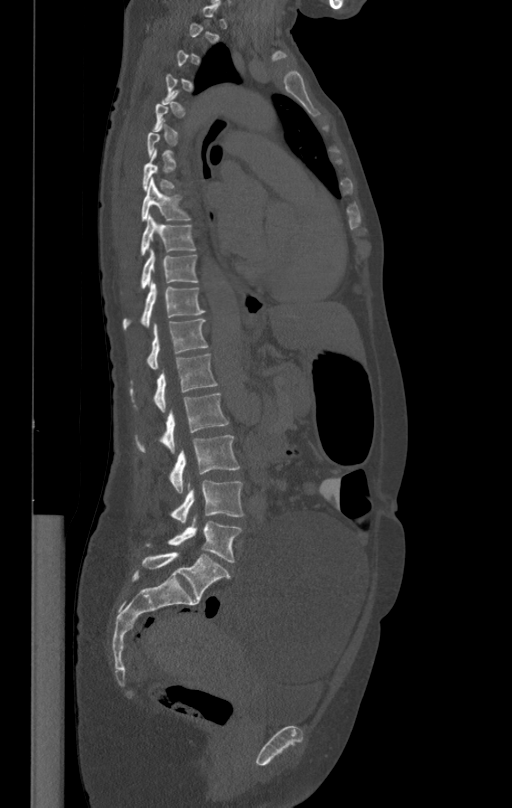

CT spine — sagittal view
A vertebra gets a box only on the slices from the first to the last where its cross-section is at least a third of its largest; on a slice outside that range it gets none.
<vertebrae><v name="T8" x1="142" y1="179" x2="191" y2="220"/><v name="T9" x1="139" y1="217" x2="196" y2="256"/><v name="T10" x1="120" y1="249" x2="198" y2="293"/><v name="T11" x1="122" y1="282" x2="205" y2="330"/><v name="T12" x1="147" y1="318" x2="208" y2="369"/><v name="L1" x1="129" y1="353" x2="218" y2="412"/><v name="L2" x1="134" y1="393" x2="229" y2="452"/><v name="L3" x1="168" y1="435" x2="240" y2="492"/><v name="L4" x1="170" y1="480" x2="244" y2="522"/><v name="L5" x1="144" y1="514" x2="241" y2="562"/></vertebrae>